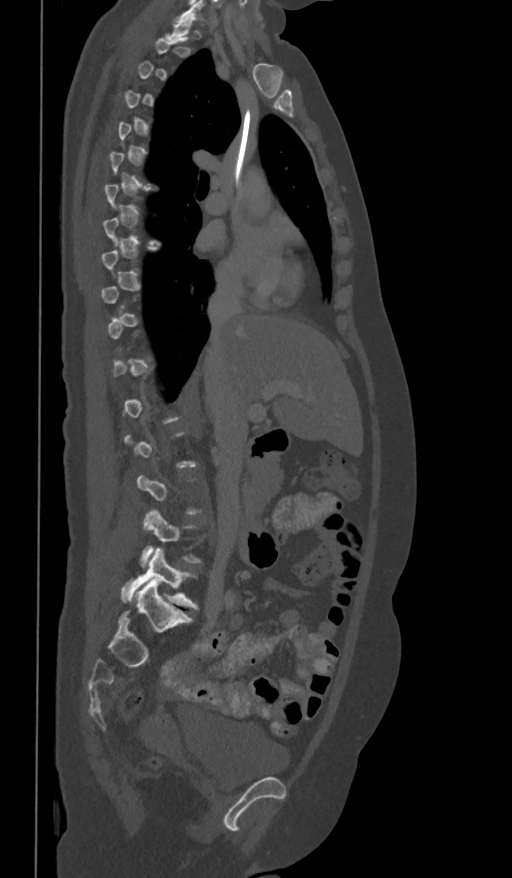

Computed tomography of the spine — sagittal reformat — bone-window reconstruction — 512x878 px

Not every vertebra on this slice has a box: a vertebra is boxed only from the first to the last slice where its cross-section is at least a third of its largest, and this slice is outside that range for at least one of them.
<vertebrae><v name="L4" x1="142" y1="509" x2="200" y2="566"/><v name="L5" x1="120" y1="548" x2="197" y2="609"/></vertebrae>